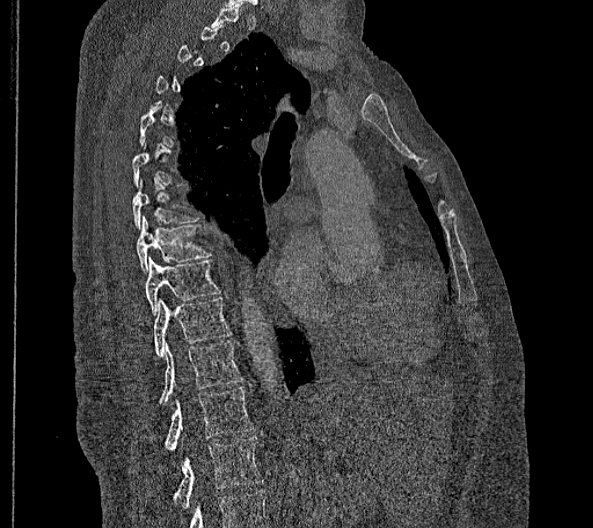

Spine computed tomography · 356 mm across the image · sagittal view · bone-window reconstruction
Each vertebra is boxed only on the slices from the first to the last where its cross-section reaches a third of its largest, so a slice outside that range leaves it unboxed.
The highest labeled vertebra in this scan is T2; the lowest is L2.
In these labels the spine has no T12: the thoracic vertebrae end at T11, and L1 comes next.
<vertebrae><v name="L2" x1="173" y1="437" x2="262" y2="508"/><v name="L1" x1="165" y1="387" x2="254" y2="450"/><v name="T11" x1="158" y1="340" x2="242" y2="404"/><v name="T10" x1="153" y1="297" x2="231" y2="357"/><v name="T9" x1="145" y1="256" x2="220" y2="314"/><v name="T8" x1="137" y1="215" x2="210" y2="273"/><v name="T7" x1="131" y1="180" x2="198" y2="229"/></vertebrae>